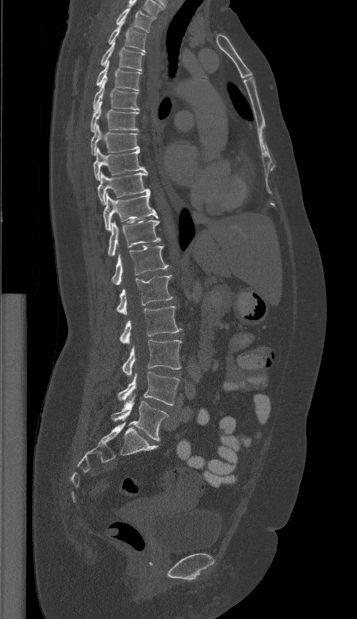

CT spine · sagittal reformat · bone-window reconstruction. In the table, x1 and y1 are a box's top-left corner and x2 and y2 its bottom-right corner, in pixels.
| vertebra | x1 | y1 | x2 | y2 |
|---|---|---|---|---|
| L5 | 111 | 397 | 167 | 440 |
| L4 | 117 | 371 | 179 | 405 |
| L3 | 122 | 339 | 181 | 376 |
| L2 | 119 | 306 | 180 | 343 |
| L1 | 116 | 275 | 172 | 314 |
| T12 | 111 | 245 | 169 | 285 |
| T11 | 108 | 220 | 160 | 256 |
| T10 | 103 | 193 | 158 | 231 |
| T9 | 97 | 172 | 149 | 204 |
| T8 | 93 | 148 | 147 | 180 |
| T7 | 90 | 124 | 139 | 155 |
| T6 | 90 | 100 | 138 | 132 |
| T5 | 93 | 79 | 138 | 109 |
| T4 | 96 | 61 | 140 | 91 |
| T3 | 100 | 41 | 144 | 70 |
| T2 | 108 | 21 | 146 | 52 |
| T1 | 116 | 7 | 155 | 32 |